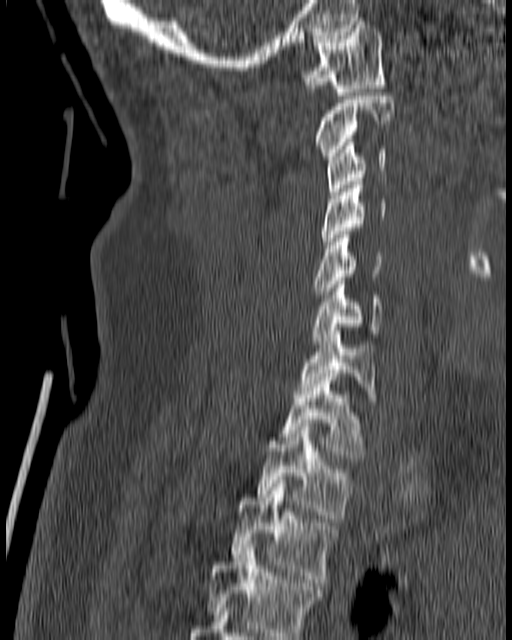

CT spine. the image spans 180 mm across. sagittal view. 512x640 px. Box edges are left/top/right/bottom in pixels.
| vertebra | x1 | y1 | x2 | y2 |
|---|---|---|---|---|
| T4 | 204 | 544 | 320 | 639 |
| T3 | 231 | 480 | 336 | 586 |
| T2 | 256 | 423 | 350 | 518 |
| T1 | 279 | 377 | 362 | 461 |
| C7 | 299 | 331 | 375 | 394 |
| C6 | 311 | 277 | 384 | 344 |
| C5 | 312 | 235 | 381 | 294 |
| C4 | 322 | 178 | 387 | 248 |
| C3 | 327 | 139 | 387 | 195 |
| C2 | 314 | 92 | 394 | 159 |
| C1 | 302 | 21 | 386 | 95 |